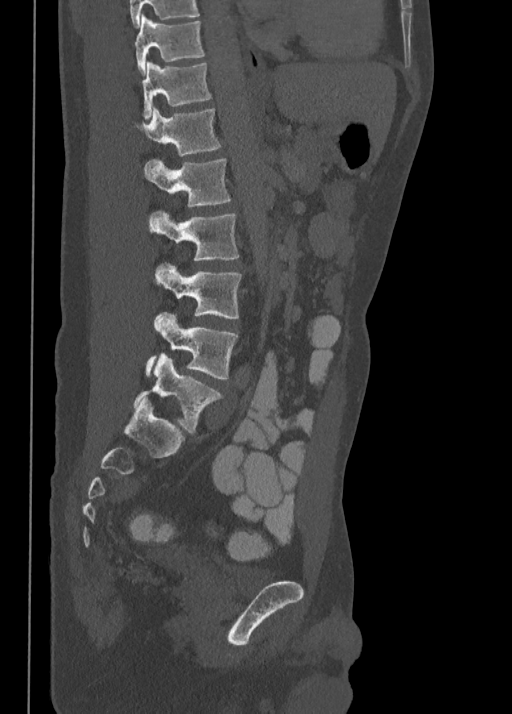

CT, spine; 350 mm image width; sagittal view; Bone window (WL 400, WW 1800); 512x714 px
Bounding boxes as [x1, y1, x2, y2] in pixel coordinates.
Vertebra bounding boxes:
- T10: [134, 14, 205, 73]
- T11: [142, 61, 211, 119]
- T12: [136, 108, 221, 156]
- L1: [145, 158, 231, 207]
- L2: [149, 211, 239, 261]
- L3: [155, 263, 242, 318]
- L4: [146, 312, 237, 379]
- L5: [133, 354, 223, 433]